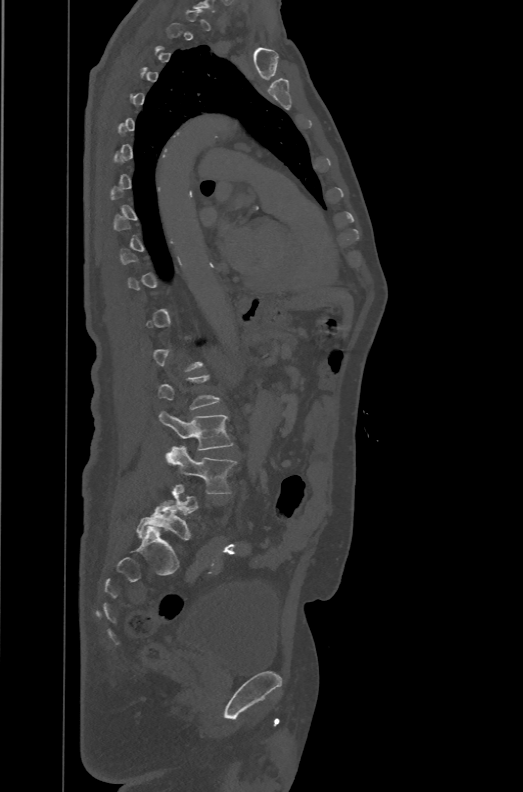
Spine computed tomography; sagittal view; W/L 1800/400 HU; 523x792 px
Boxes below are [x1, y1, x2, y2] in pixels.
Not every vertebra on this slice has a box: a vertebra is boxed only from the first to the last slice where its cross-section is at least a third of its largest, and this slice is outside that range for at least one of them.
The labels name a sixth lumbar vertebra for this spine: L6, after L5.
{"vertebrae":{"L3":[158,411,233,450],"L4":[165,445,237,493],"L6":[136,500,191,540]}}